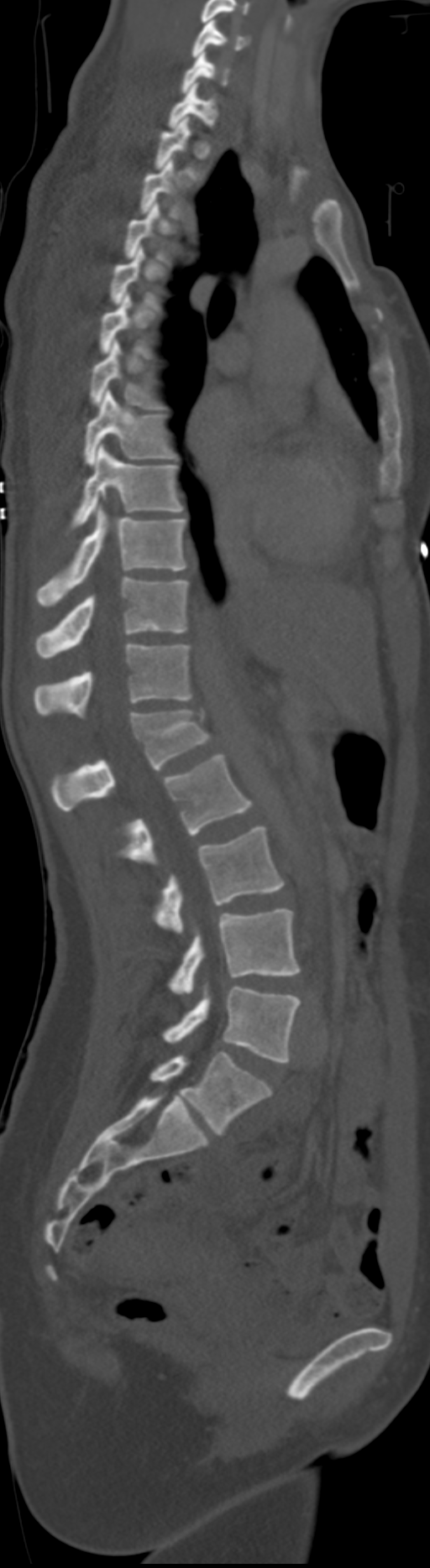
CT — sagittal view. Boxes are given in columns x1, y1, x2, y2, the pixel coordinates of their top-left and bottom-right corners.
Not every vertebra on this slice has a box: a vertebra is boxed only from the first to the last slice where its cross-section is at least a third of its largest, and this slice is outside that range for at least one of them.
These labels give the spine a sixth lumbar vertebra, L6, below L5. In these labels the thoracic vertebrae end at T11, so L1 follows T11.
| vertebra | x1 | y1 | x2 | y2 |
|---|---|---|---|---|
| C5 | 191 | 19 | 251 | 57 |
| C6 | 181 | 51 | 229 | 93 |
| C7 | 168 | 82 | 219 | 128 |
| T1 | 154 | 117 | 197 | 180 |
| T6 | 91 | 341 | 161 | 409 |
| T7 | 84 | 390 | 177 | 465 |
| T8 | 71 | 445 | 184 | 528 |
| T9 | 37 | 506 | 188 | 606 |
| T10 | 34 | 578 | 188 | 658 |
| T11 | 34 | 643 | 192 | 718 |
| L1 | 52 | 709 | 210 | 812 |
| L2 | 119 | 754 | 253 | 863 |
| L3 | 155 | 826 | 285 | 933 |
| L4 | 169 | 909 | 300 | 993 |
| L5 | 162 | 986 | 300 | 1062 |
| L6 | 151 | 1052 | 271 | 1135 |